CT · sagittal view · scan covers 9 annotated vertebrae
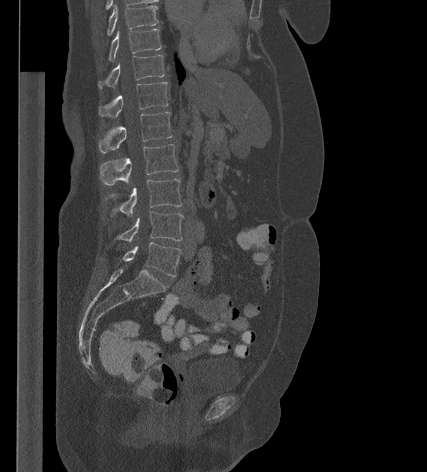 Box edges are left/top/right/bottom in pixels.
| vertebra | x1 | y1 | x2 | y2 |
|---|---|---|---|---|
| L5 | 123 | 242 | 180 | 276 |
| L4 | 115 | 211 | 183 | 242 |
| L3 | 111 | 178 | 182 | 217 |
| L2 | 99 | 144 | 178 | 185 |
| L1 | 98 | 112 | 171 | 153 |
| T12 | 99 | 82 | 168 | 117 |
| T11 | 98 | 54 | 164 | 88 |
| T10 | 108 | 29 | 161 | 61 |
| T9 | 107 | 5 | 158 | 35 |